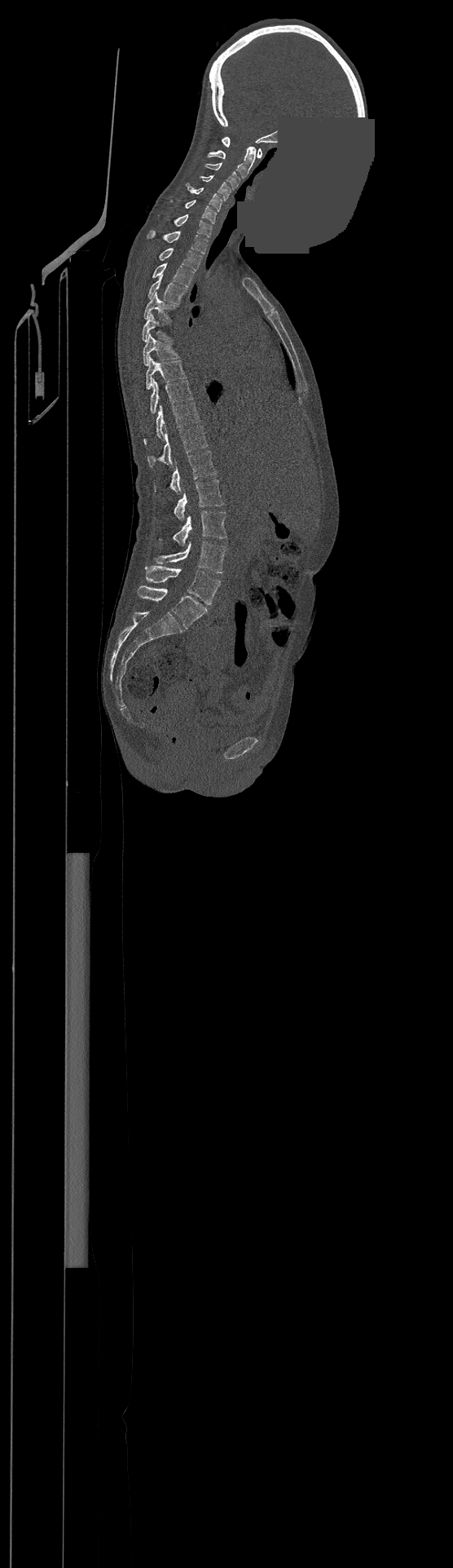
Spine CT; sagittal reformat; 500 mm across the image; part of the image is a flat gray fill, not anatomy

Boxes below are [x1, y1, x2, y2] in pixels.
Labels in this scan begin with C1 at the top and end with L4 at the bottom.
{"vertebrae":{"C1":[222,137,262,157],"C2":[207,147,256,178],"C3":[205,163,240,189],"C4":[200,175,231,200],"C5":[186,183,222,211],"C6":[172,200,216,223],"C7":[174,214,213,237],"T1":[147,230,208,254],"T2":[159,248,201,271],"T3":[152,263,194,287],"T4":[148,275,187,303],"T5":[144,293,177,320],"T6":[143,313,168,342],"T7":[143,334,178,365],"T8":[146,356,186,390],"T9":[150,379,193,413],"T10":[144,402,199,444],"T11":[147,426,208,467],"T12":[155,451,216,492],"L1":[174,480,224,520],"L2":[159,510,226,546],"L3":[155,541,226,572],"L4":[145,566,220,604]}}